CT spine; sagittal plane, index 372; 512x757 px; scan covers 11 annotated vertebrae; the image spans 153 mm across
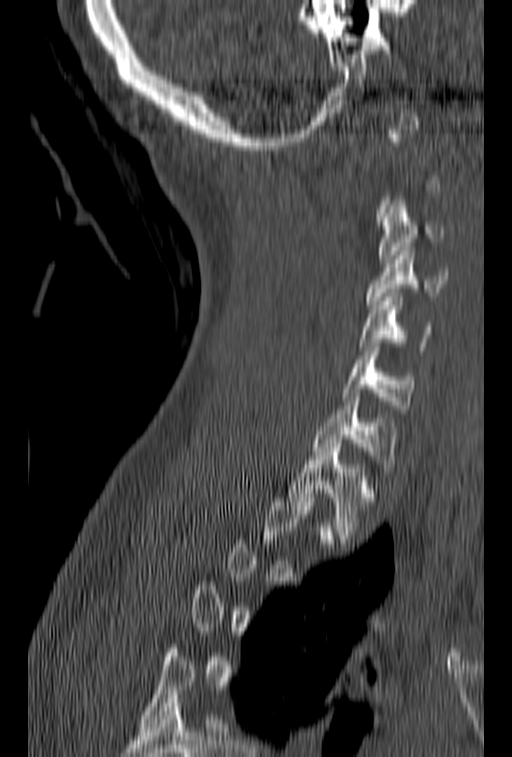

Each row gives a vertebra's box as x1, y1, x2, y2 in pixels: top-left corner, then bottom-right corner.
A vertebra gets a box only on the slices from the first to the last where its cross-section is at least a third of its largest; on a slice outside that range it gets none.
| vertebra | x1 | y1 | x2 | y2 |
|---|---|---|---|---|
| C3 | 378 | 197 | 445 | 263 |
| C4 | 366 | 247 | 448 | 309 |
| C5 | 359 | 293 | 433 | 350 |
| C6 | 343 | 343 | 415 | 413 |
| C7 | 312 | 393 | 398 | 480 |
| T1 | 290 | 443 | 377 | 539 |